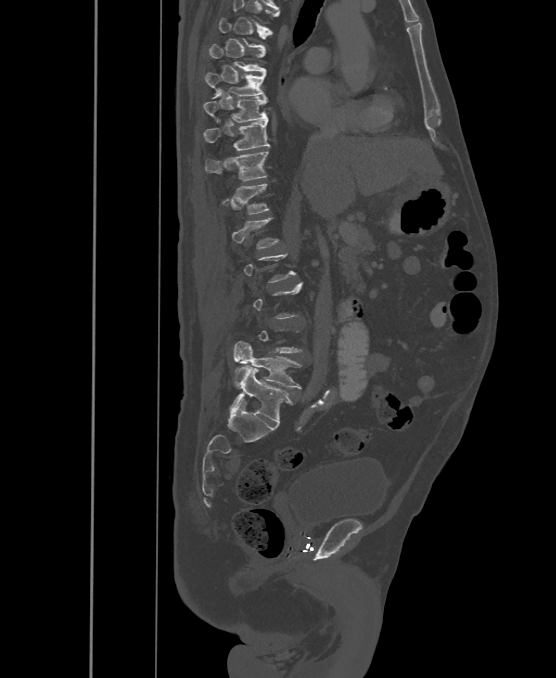
Computed tomography of the spine · sagittal view · bone window
Not every vertebra on this slice has a box: a vertebra is boxed only from the first to the last slice where its cross-section is at least a third of its largest, and this slice is outside that range for at least one of them.
The labels name a sixth lumbar vertebra for this spine: L6, after L5.
<vertebrae><v name="T7" x1="208" y1="44" x2="266" y2="72"/><v name="T8" x1="204" y1="73" x2="266" y2="97"/><v name="T9" x1="203" y1="96" x2="268" y2="122"/><v name="T10" x1="203" y1="118" x2="270" y2="150"/><v name="T11" x1="204" y1="151" x2="268" y2="180"/><v name="T12" x1="221" y1="184" x2="269" y2="214"/><v name="L1" x1="231" y1="218" x2="279" y2="248"/><v name="L5" x1="233" y1="341" x2="300" y2="388"/><v name="L6" x1="231" y1="368" x2="293" y2="424"/></vertebrae>